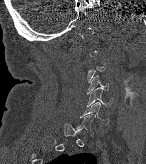
CT; sagittal view; image width 146 mm

Each box is [x1, y1, x2, y2] in pixels: top-left corner, then bottom-right corner.
A vertebra gets a box only on the slices from the first to the last where its cross-section is at least a third of its largest; on a slice outside that range it gets none.
{"vertebrae":{"C6":[80,102,108,124],"C5":[87,87,112,107],"C4":[87,75,108,93]}}